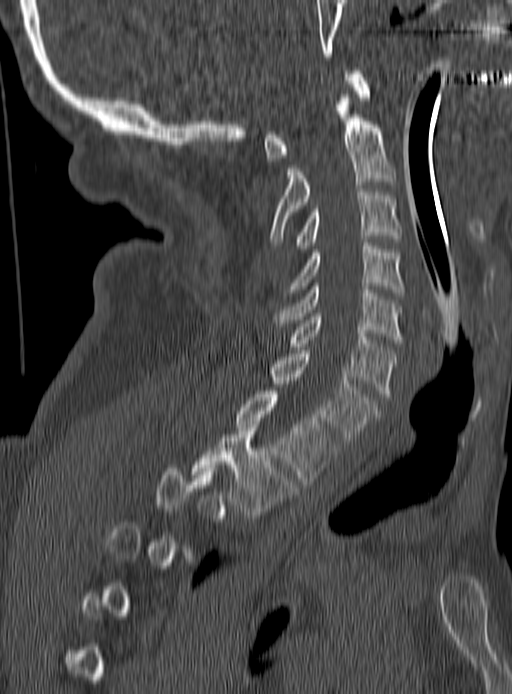 CT, spine — sagittal view — 512x694 px
Each vertebra maps to its box as [x1, y1, x2, y2], the pixel coordinates of its top-left and bottom-right corners.
Not every vertebra on this slice has a box: a vertebra is boxed only from the first to the last slice where its cross-section is at least a third of its largest, and this slice is outside that range for at least one of them.
{"vertebrae":{"C1":[264,71,369,161],"C2":[270,98,393,242],"C3":[296,189,401,252],"C4":[289,243,404,295],"C5":[272,283,404,343],"C6":[289,313,396,396],"C7":[270,350,377,444],"T1":[235,391,339,484],"T2":[192,424,296,518]}}